CT, spine · sagittal view · image width 210 mm · W/L 1800/400 HU · 8 vertebrae labeled in this scan · an area of the scan was removed and filled with constant pixels
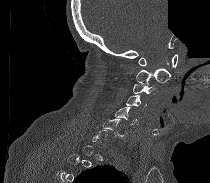
Boxes: x1 y1 x2 y2 (pixel coords, space-separated).
Not every vertebra on this slice has a box: a vertebra is boxed only from the first to the last slice where its cross-section is at least a third of its largest, and this slice is outside that range for at least one of them.
C1: 138 54 177 67
C2: 136 68 170 83
C3: 133 82 158 95
C4: 126 96 146 108
C5: 115 107 137 124
C6: 102 119 127 139